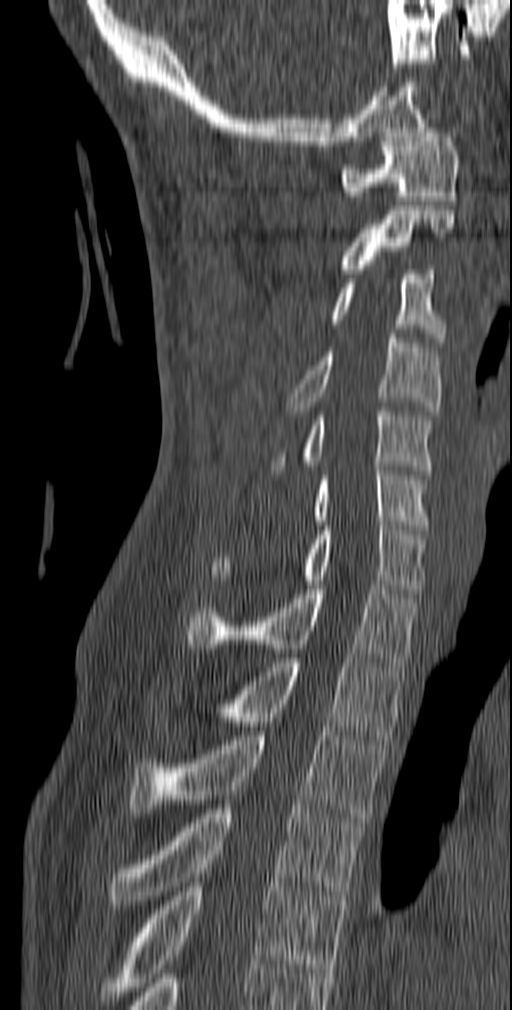 CT — sagittal view

<vertebrae><v name="C1" x1="341" y1="128" x2="459" y2="205"/><v name="C2" x1="338" y1="210" x2="455" y2="273"/><v name="C3" x1="329" y1="270" x2="447" y2="346"/><v name="C4" x1="285" y1="334" x2="441" y2="415"/><v name="C5" x1="270" y1="407" x2="432" y2="474"/><v name="C6" x1="312" y1="466" x2="429" y2="529"/><v name="C7" x1="210" y1="521" x2="426" y2="593"/><v name="T1" x1="185" y1="585" x2="419" y2="666"/><v name="T2" x1="170" y1="658" x2="406" y2="740"/><v name="T3" x1="129" y1="731" x2="387" y2="822"/><v name="T4" x1="111" y1="805" x2="362" y2="904"/><v name="T5" x1="98" y1="882" x2="348" y2="1005"/></vertebrae>